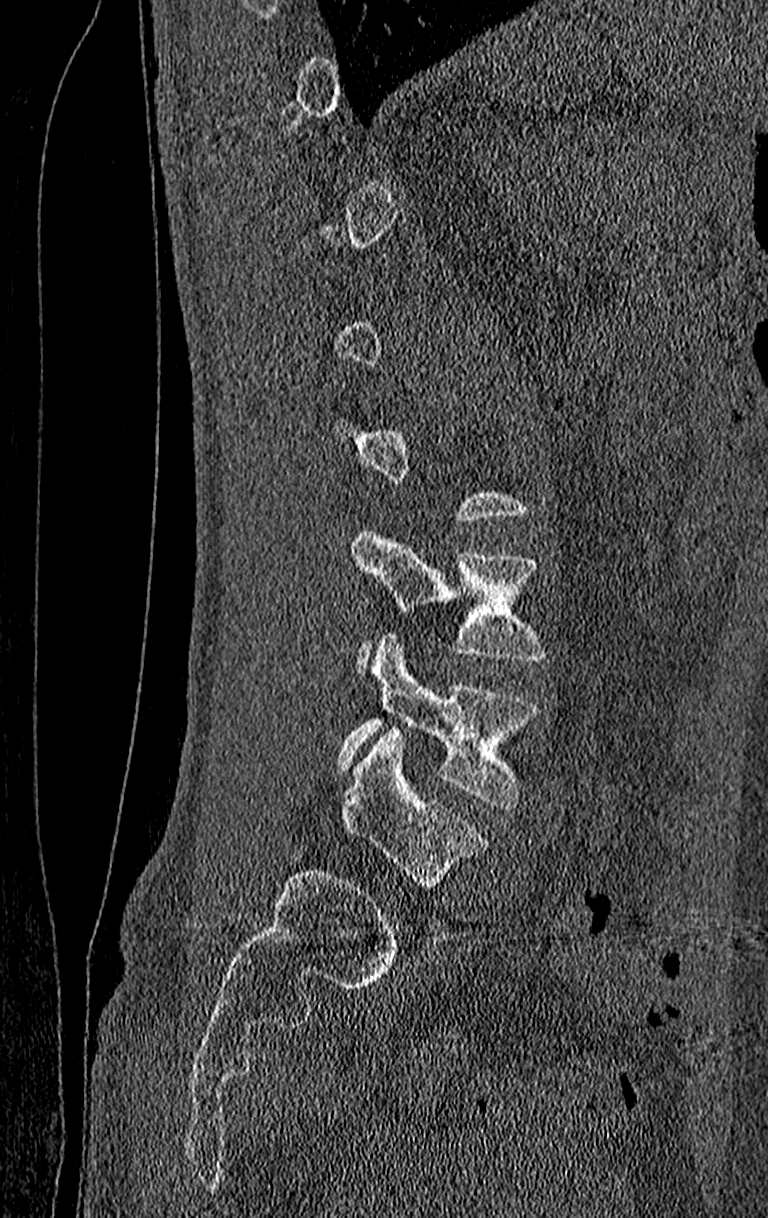

Spine computed tomography · sagittal view · 768x1218 px · the image spans 210 mm across

Boxes: x1:y1:x2:y2 in pixels.
Each vertebra is boxed only on the slices from the first to the last where its cross-section reaches a third of its largest, so a slice outside that range leaves it unboxed.
Labels in this scan begin with T11 at the top and end with L4 at the bottom.
L3: 350:528:546:669
L4: 339:634:539:809